CT spine. sagittal reformat. bone window. 512x700 px
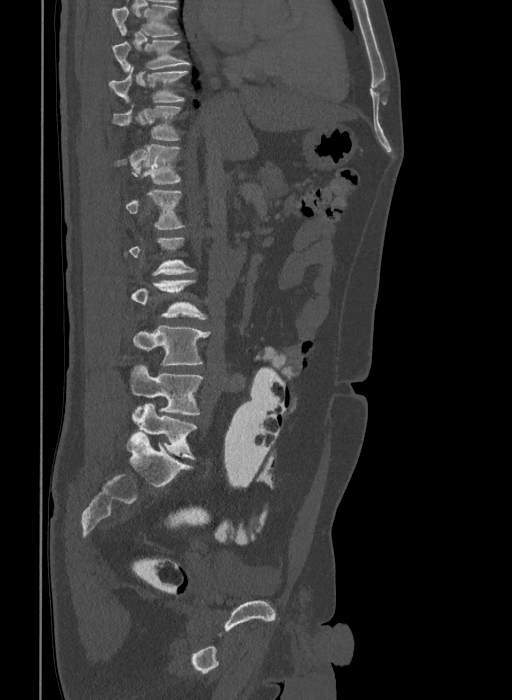

Boxes below are [x1, y1, x2, y2] in pixels.
Not every vertebra on this slice has a box: a vertebra is boxed only from the first to the last slice where its cross-section is at least a third of its largest, and this slice is outside that range for at least one of them.
Labels in this scan begin with T9 at the top and end with L6 at the bottom.
These labels give the spine a sixth lumbar vertebra, L6, below L5.
{"vertebrae":{"T9":[113,41,189,71],"T10":[109,66,188,102],"T11":[113,104,180,140],"T12":[114,144,182,183],"L1":[125,190,185,229],"L3":[131,279,207,319],"L4":[133,326,211,365],"L5":[130,364,203,415],"L6":[132,403,198,459]}}